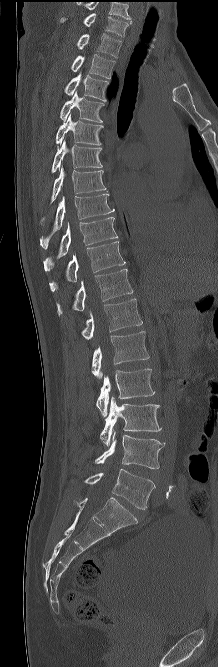 CT spine · sagittal view · bone window · image 218 mm wide · 218x667 px
Coordinates as <box>x1,y1,x2,y2</box>.
In this scan, the topmost labeled vertebra is C7 and the lowest is L5.
Vertebra bounding boxes:
- C7: <box>60,13,129,36</box>
- T1: <box>77,33,122,58</box>
- T2: <box>71,54,115,78</box>
- T3: <box>64,73,108,101</box>
- T4: <box>60,91,104,122</box>
- T5: <box>56,114,103,145</box>
- T6: <box>51,140,102,172</box>
- T7: <box>48,165,106,206</box>
- T8: <box>40,194,113,248</box>
- T9: <box>43,217,117,270</box>
- T10: <box>49,241,125,291</box>
- T11: <box>56,268,133,316</box>
- T12: <box>81,298,142,339</box>
- L1: <box>92,331,149,378</box>
- L2: <box>96,368,155,416</box>
- L3: <box>100,397,161,446</box>
- L4: <box>95,431,165,468</box>
- L5: <box>84,468,155,509</box>